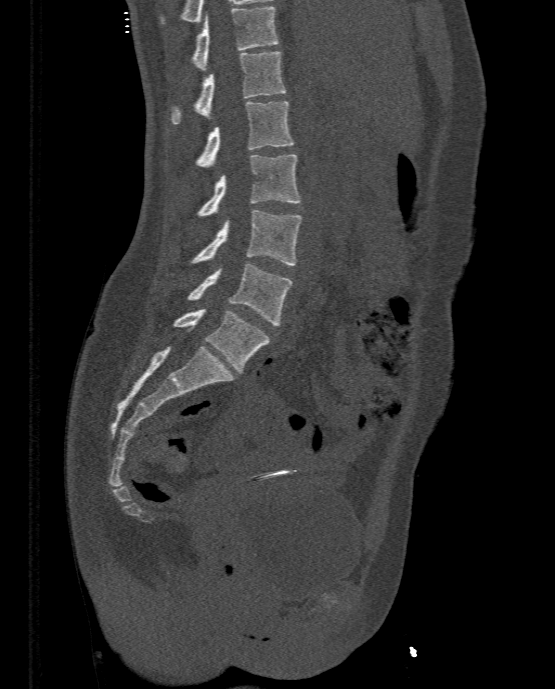
CT. sagittal view
<vertebrae><v name="T11" x1="193" y1="6" x2="279" y2="69"/><v name="T12" x1="171" y1="51" x2="285" y2="124"/><v name="L1" x1="198" y1="101" x2="294" y2="166"/><v name="L2" x1="198" y1="154" x2="300" y2="216"/><v name="L3" x1="191" y1="210" x2="303" y2="265"/><v name="L4" x1="188" y1="263" x2="293" y2="325"/><v name="L5" x1="172" y1="309" x2="269" y2="373"/></vertebrae>